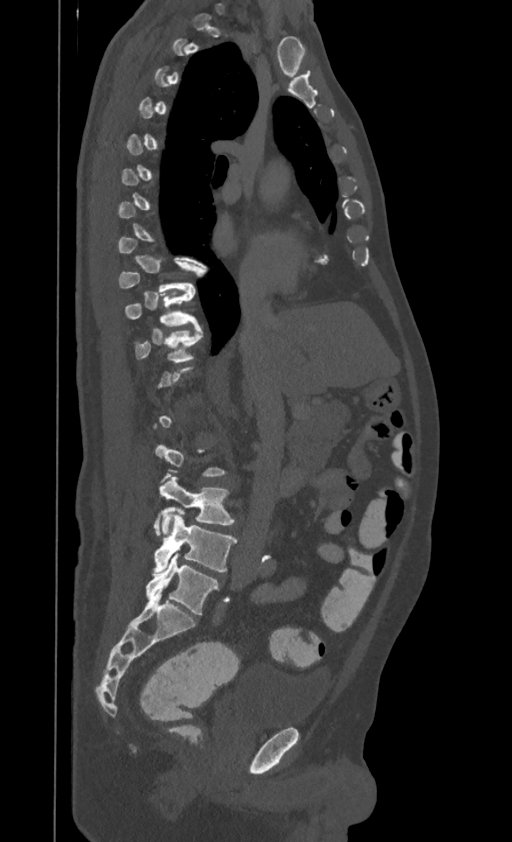 Computed tomography of the spine — sagittal view — 512x842 px

Bounding boxes as [x1, y1, x2, y2] in pixel coordinates. Not every vertebra on this slice has a box: a vertebra is boxed only from the first to the last slice where its cross-section is at least a third of its largest, and this slice is outside that range for at least one of them. Labels in this scan begin with T1 at the top and end with L4 at the bottom. The labeled vertebrae in this slice are: L4 at [153, 511, 237, 573], L3 at [154, 475, 233, 536], T11 at [136, 328, 202, 362], T10 at [124, 290, 197, 326].